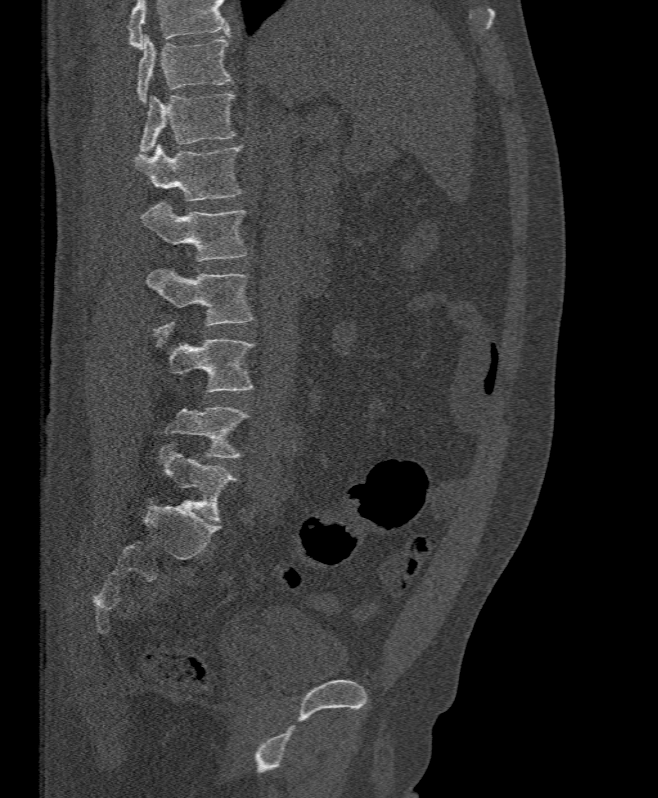 CT · image width 395 mm · sagittal view · bone-window reconstruction
Boxes: x1 y1 x2 y2 (pixel coords, space-separated).
A vertebra cut off by the top edge of the scan is not labeled and has no box.
Vertebra bounding boxes:
- T11: 136 35 232 102
- T12: 140 93 236 151
- L1: 135 143 242 201
- L2: 141 202 247 261
- L3: 147 268 254 326
- L4: 152 319 255 391
- L5: 166 407 248 457